Spine computed tomography. sagittal plane, index 198. W/L 1800/400 HU
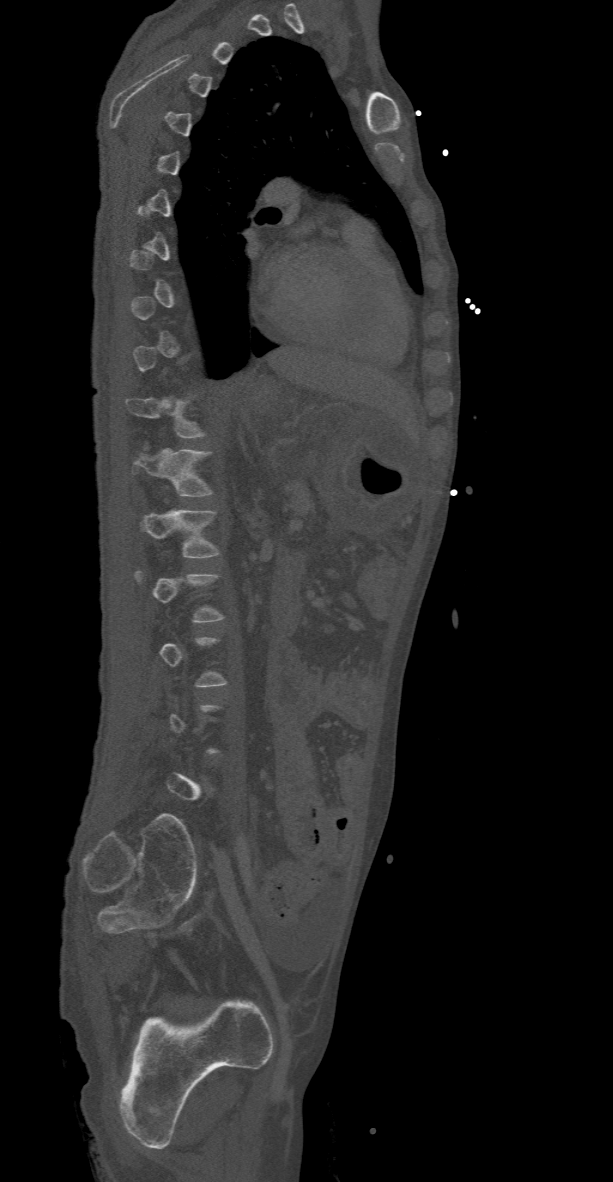

Boxes below are [x1, y1, x2, y2] in pixels.
A vertebra is boxed only from the first to the last slice where its cross-section is at least a third of its largest; slices outside that range leave it without a box.
{"vertebrae":{"T12":[133,449,212,496],"L1":[140,509,218,558]}}